Spine computed tomography — sagittal view — Bone window (WL 400, WW 1800) — 658x798 px
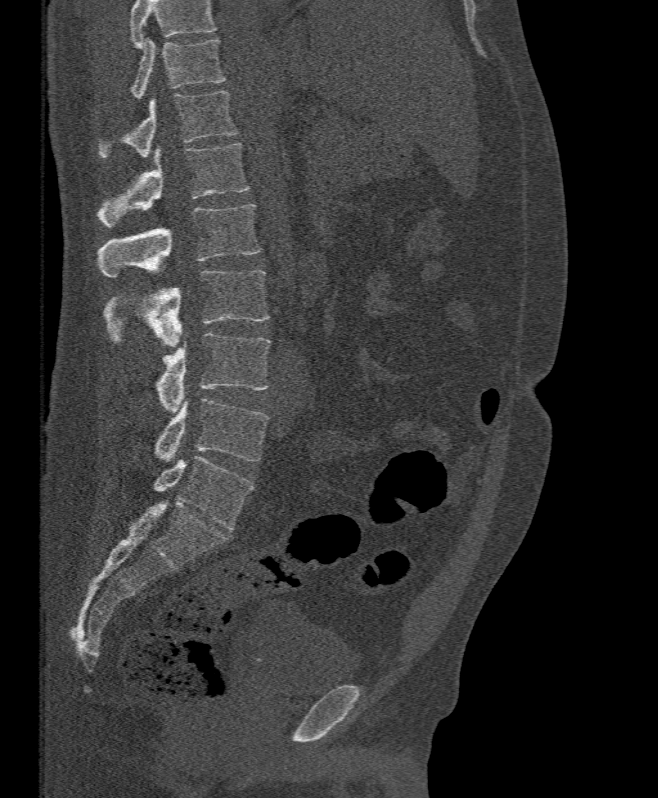
Each box given as x1,y1,x2,y2.
A vertebra cut off by the top edge of the scan is not labeled and has no box.
T11: x1=131, y1=38, x2=225, y2=99
T12: x1=98, y1=90, x2=237, y2=157
L1: x1=98, y1=143, x2=248, y2=226
L2: x1=98, y1=203, x2=260, y2=277
L3: x1=104, y1=270, x2=269, y2=346
L4: x1=154, y1=333, x2=270, y2=412
L5: x1=154, y1=398, x2=269, y2=463